CT spine — Sagittal slice 122/168 — 168x509 px — image width 168 mm — scan covers 18 annotated vertebrae
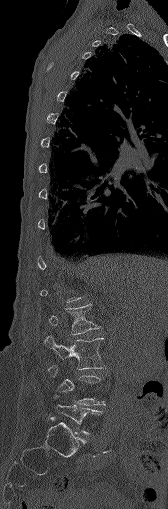 Each vertebra is boxed only on the slices from the first to the last where its cross-section reaches a third of its largest, so a slice outside that range leaves it unboxed.
<vertebrae><v name="L3" x1="44" y1="336" x2="104" y2="369"/><v name="L2" x1="49" y1="305" x2="99" y2="334"/></vertebrae>